Spine CT. sagittal plane, index 425. W/L 1800/400 HU. 768x1012 px. image 227 mm wide
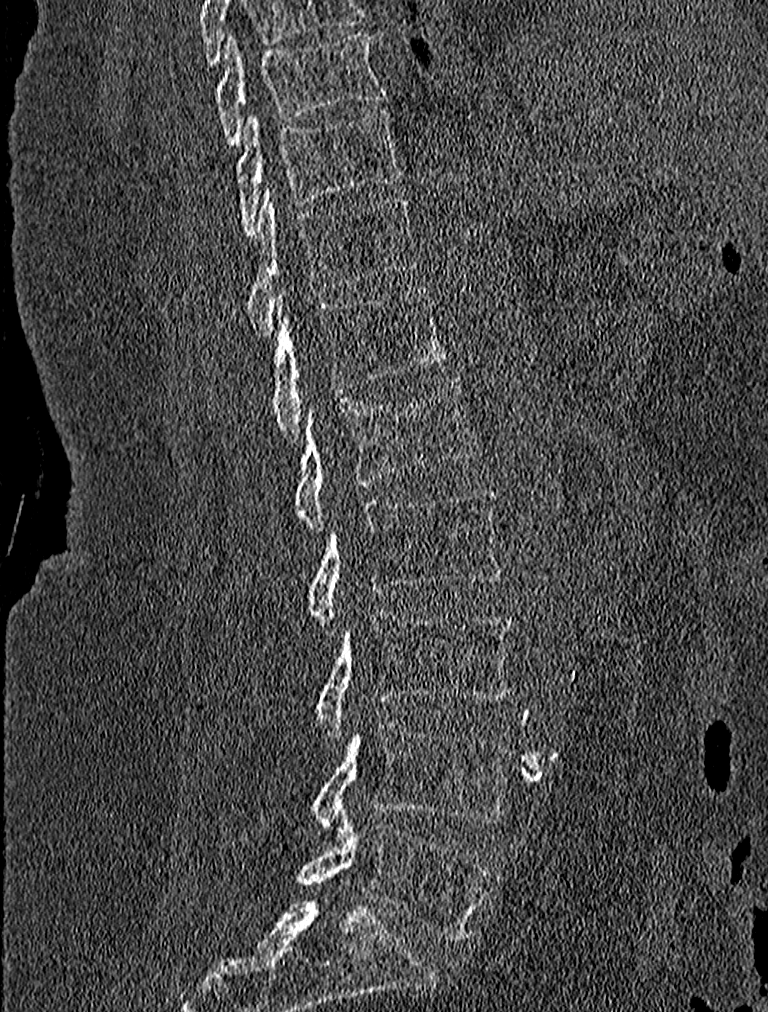

Boxes: x1:y1:x2:y2 in pixels. Vertebrae labeled: T9 at 215:33:387:148, T10 at 236:108:404:237, T11 at 246:187:417:334, T12 at 269:285:448:441, L1 at 293:376:478:529, L2 at 307:487:505:626, L3 at 317:611:515:739, L4 at 310:719:513:838, L5 at 297:822:492:941.